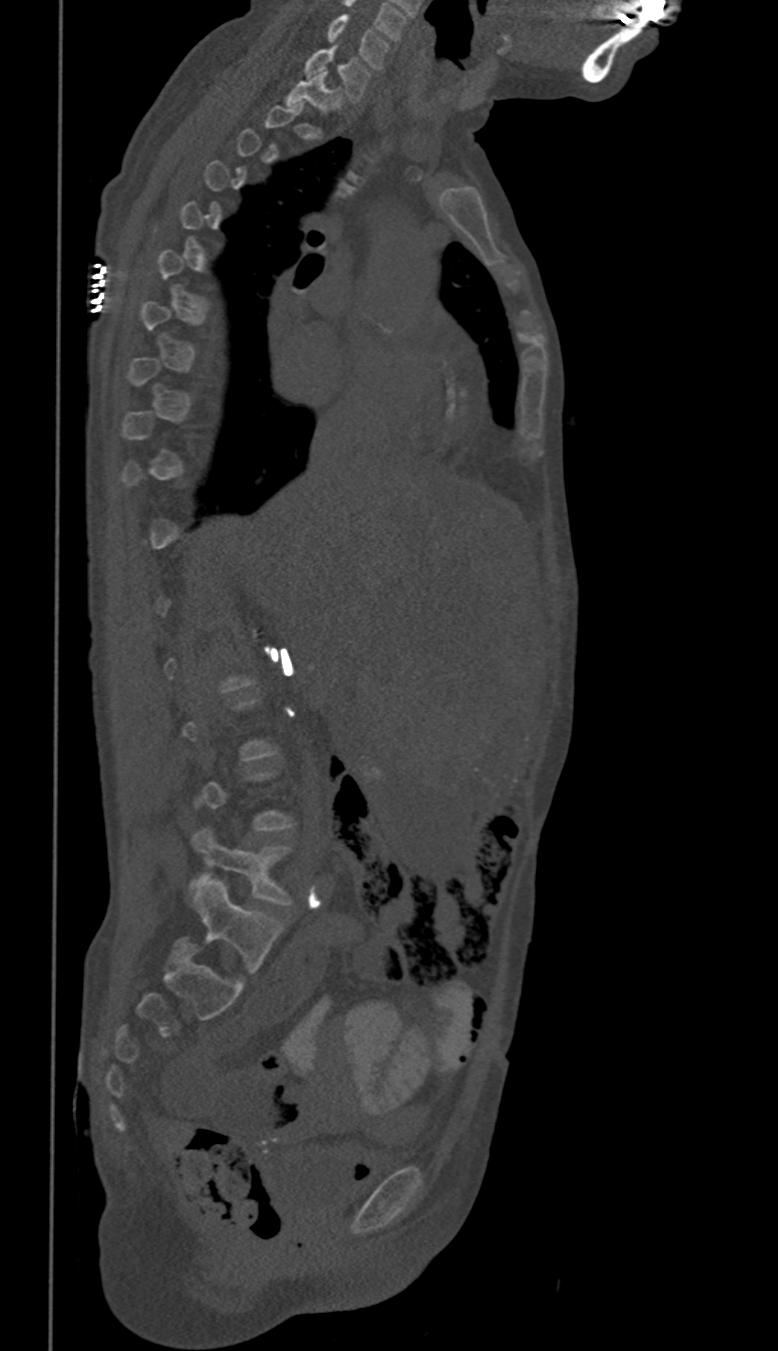 CT spine; sagittal reformat; bone-window reconstruction; 350 mm wide

Box edges are left/top/right/bottom in pixels.
A vertebra is boxed only from the first to the last slice where its cross-section is at least a third of its largest; slices outside that range leave it without a box.
Vertebra bounding boxes:
- C6: left=327, top=15, right=388, bottom=68
- C7: left=304, top=47, right=370, bottom=102
- T1: left=286, top=72, right=341, bottom=113
- L5: left=188, top=825, right=292, bottom=904